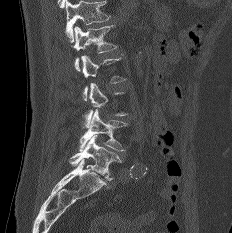
Spine CT. sagittal view. 232x233 px. the image is 232 mm wide
Columns x1, y1, x2, y2 give each box's top-left and bottom-right pixels.
Each vertebra is boxed only on the slices from the first to the last where its cross-section reaches a third of its largest, so a slice outside that range leaves it unboxed.
No box is given to a vertebra that the top edge of the scan cuts off.
| vertebra | x1 | y1 | x2 | y2 |
|---|---|---|---|---|
| L1 | 72 | 25 | 116 | 71 |
| L4 | 79 | 108 | 127 | 152 |
| L5 | 69 | 135 | 121 | 180 |